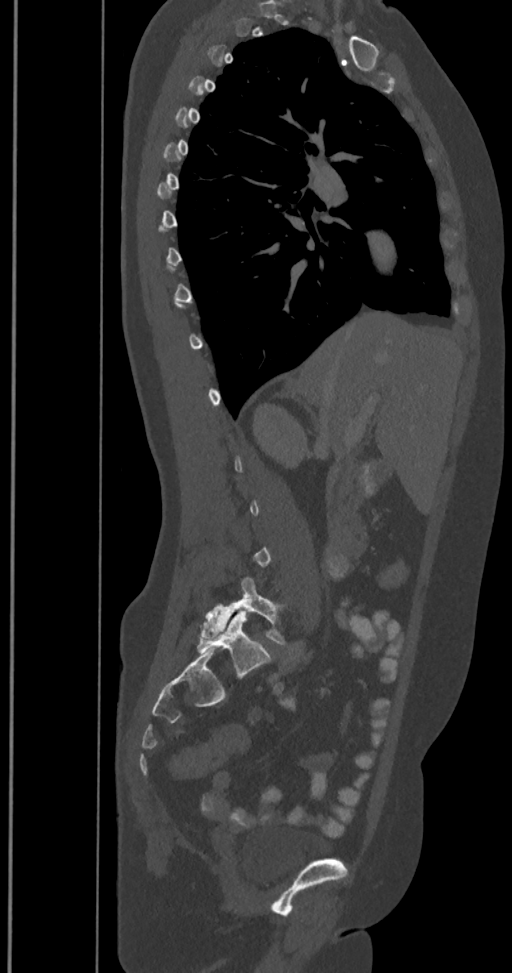
CT — sagittal reformat — 512x973 px
A vertebra is boxed only from the first to the last slice where its cross-section is at least a third of its largest; slices outside that range leave it without a box.
These labels give the spine a sixth lumbar vertebra, L6, below L5.
<vertebrae><v name="L5" x1="201" y1="577" x2="287" y2="645"/><v name="L6" x1="197" y1="611" x2="271" y2="677"/></vertebrae>